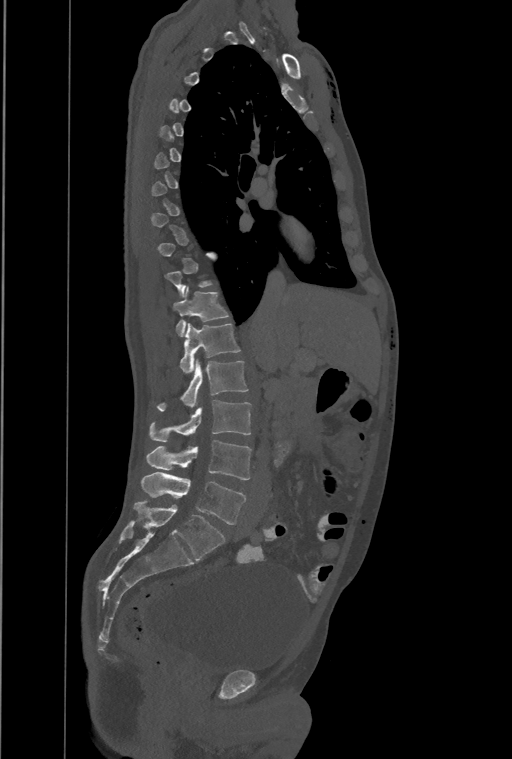

CT spine · sagittal view · 461 mm image width · 512x759 px. Coordinates as <box>x1,y1,x2,y2</box>.
Each vertebra is boxed only on the slices from the first to the last where its cross-section reaches a third of its largest, so a slice outside that range leaves it unboxed.
Labels in this scan begin with T1 at the top and end with L4 at the bottom.
In these labels the spine has a T13, a thirteenth thoracic vertebra, between T12 and L1.
Vertebra bounding boxes:
- T12: <box>173,287,228,336</box>
- T13: <box>179,324,239,374</box>
- L1: <box>157,359,247,411</box>
- L2: <box>150,400,251,441</box>
- L3: <box>146,440,251,479</box>
- L4: <box>142,471,245,524</box>